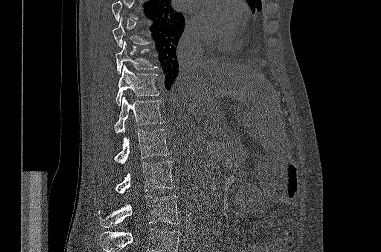 Spine computed tomography · 381 mm across the image · sagittal view · 381x252 px
Boxes are given in columns x1, y1, x2, y2, the pixel coordinates of their top-left and bottom-right corners.
No box is given to a vertebra that the top or bottom edge of the scan cuts off.
| vertebra | x1 | y1 | x2 | y2 |
|---|---|---|---|---|
| T9 | 112 | 17 | 149 | 47 |
| T10 | 115 | 41 | 157 | 74 |
| T11 | 116 | 64 | 159 | 105 |
| T12 | 114 | 94 | 164 | 133 |
| L1 | 114 | 129 | 170 | 163 |
| L2 | 115 | 161 | 174 | 193 |
| L3 | 98 | 196 | 179 | 227 |